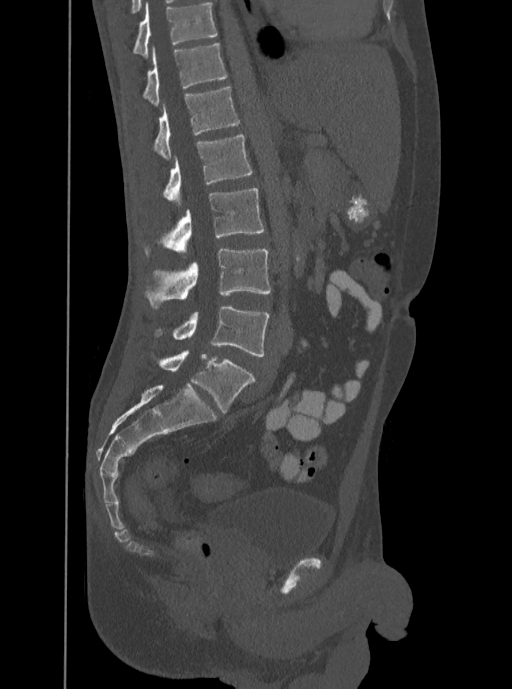
Spine computed tomography. sagittal view

Boxes are (x1, y1, x2, y2) in pixels.
Labels in this scan begin with T12 at the top and end with L5 at the bottom.
Vertebra bounding boxes:
- T12: (143, 43, 227, 106)
- L1: (153, 86, 239, 160)
- L2: (162, 134, 252, 204)
- L3: (145, 188, 264, 256)
- L4: (145, 249, 271, 308)
- L5: (153, 307, 269, 357)